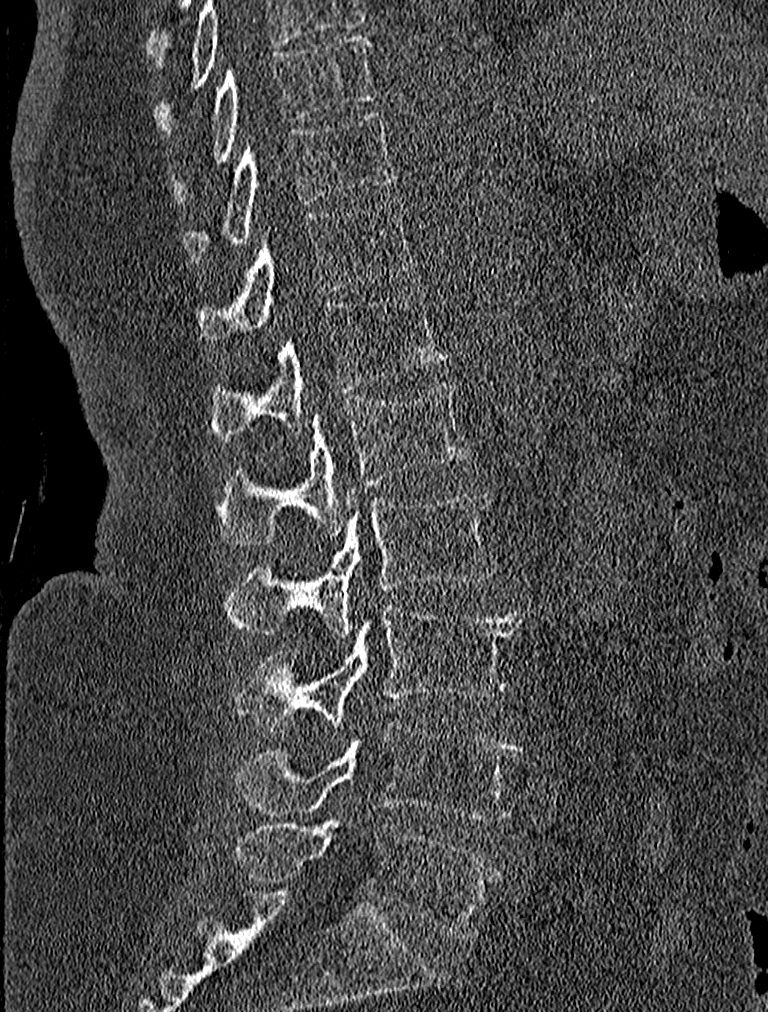

Computed tomography of the spine — sagittal reformat — bone-window reconstruction

Boxes below are [x1, y1, x2, y2] in pixels.
{"vertebrae":{"T9":[171,33,377,198],"T10":[182,111,397,262],"T11":[195,199,414,351],"T12":[209,288,448,439],"L1":[215,382,471,546],"L2":[225,487,495,637],"L3":[236,600,522,731],"L4":[232,722,522,820],"L5":[236,818,499,938]}}